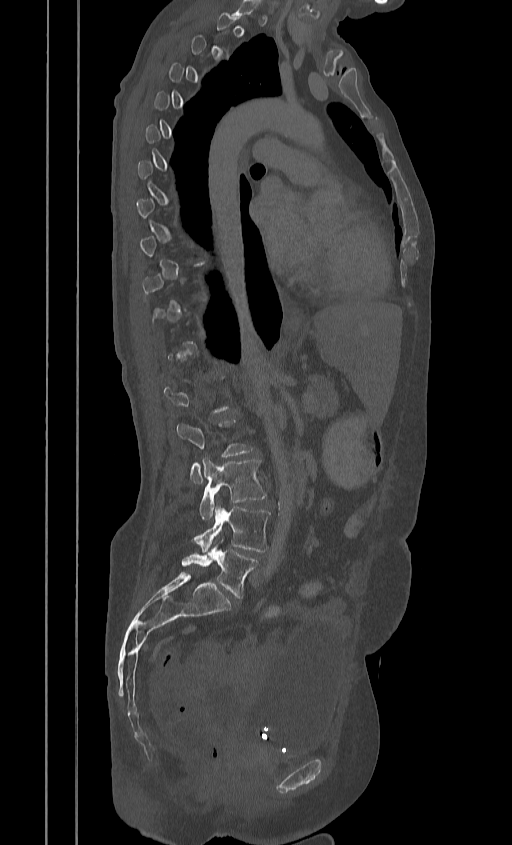

CT, spine · sagittal reformat · bone window · 512x845 px · image width 384 mm
Boxes are given in columns x1, y1, x2, y2, the pixel coordinates of their top-left and bottom-right corners.
A vertebra is boxed only from the first to the last slice where its cross-section is at least a third of its largest; slices outside that range leave it without a box.
| vertebra | x1 | y1 | x2 | y2 |
|---|---|---|---|---|
| L2 | 176 | 420 | 252 | 483 |
| L3 | 200 | 457 | 265 | 520 |
| L4 | 192 | 501 | 269 | 552 |
| L5 | 181 | 540 | 259 | 598 |